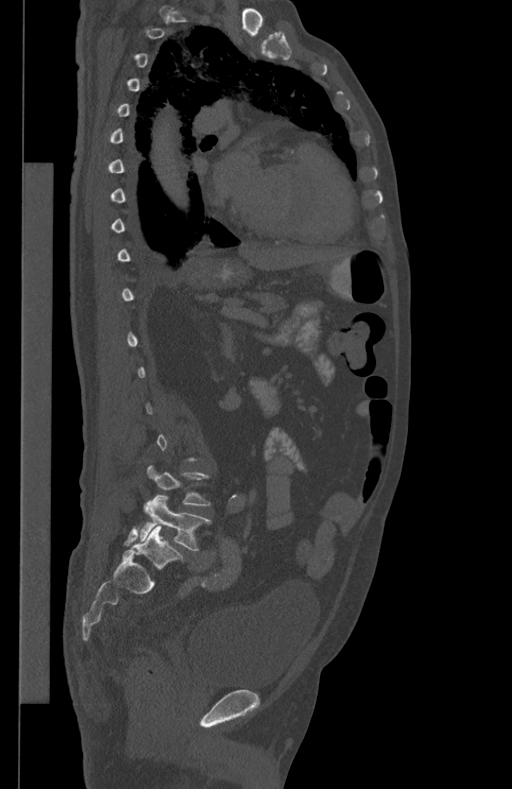 Computed tomography of the spine. sagittal reformat. image 434 mm wide. W/L 1800/400 HU. Boxes: x1 y1 x2 y2 (pixel coords, space-separated). A vertebra is boxed only from the first to the last slice where its cross-section is at least a third of its largest; slices outside that range leave it without a box. Vertebrae labeled: L5 at 141 495 211 551, L4 at 146 464 211 505.